CT, spine; sagittal reformat; image width 210 mm; bone-window reconstruction; part of the scan has been removed (filled with constant black)
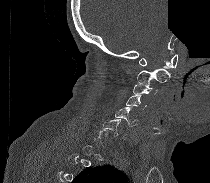

Boxes are given in columns x1, y1, x2, y2, the pixel coordinates of their top-left and bottom-right corners.
Each vertebra is boxed only on the slices from the first to the last where its cross-section reaches a third of its largest, so a slice outside that range leaves it unboxed.
| vertebra | x1 | y1 | x2 | y2 |
|---|---|---|---|---|
| C1 | 139 | 54 | 177 | 68 |
| C2 | 137 | 68 | 170 | 83 |
| C3 | 133 | 82 | 158 | 95 |
| C4 | 126 | 96 | 146 | 109 |
| C5 | 115 | 107 | 138 | 126 |
| C6 | 102 | 119 | 126 | 139 |